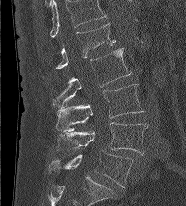 Computed tomography of the spine — sagittal reformat
The highest labeled vertebra in this scan is L1; the lowest is L5.
<vertebrae><v name="L1" x1="56" y1="23" x2="115" y2="68"/><v name="L2" x1="52" y1="48" x2="131" y2="109"/><v name="L3" x1="56" y1="84" x2="143" y2="131"/><v name="L4" x1="57" y1="122" x2="149" y2="154"/><v name="L5" x1="50" y1="150" x2="133" y2="187"/></vertebrae>